Computed tomography of the spine · sagittal plane, index 276 · scan covers 18 annotated vertebrae · image width 350 mm
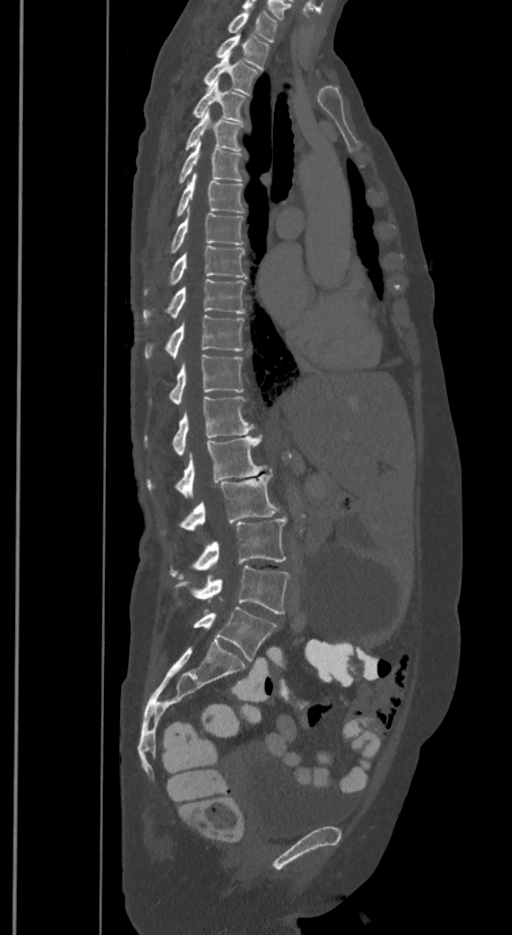

Boxes are (x1, y1, x2, y2) in pixels.
In these labels the spine has an L6, a sixth lumbar vertebra below L5.
Vertebra bounding boxes:
- T1: (227, 11, 277, 41)
- T2: (215, 34, 269, 69)
- T3: (203, 53, 258, 94)
- T4: (191, 82, 246, 120)
- T5: (184, 112, 243, 152)
- T6: (178, 142, 242, 183)
- T7: (175, 172, 245, 218)
- T8: (169, 212, 243, 253)
- T9: (145, 246, 246, 295)
- T10: (143, 279, 245, 324)
- T11: (145, 315, 245, 358)
- T12: (149, 354, 243, 406)
- L1: (145, 396, 253, 456)
- L2: (148, 436, 266, 497)
- L3: (161, 474, 278, 534)
- L4: (169, 517, 285, 578)
- L5: (175, 566, 288, 614)
- L6: (193, 607, 277, 660)